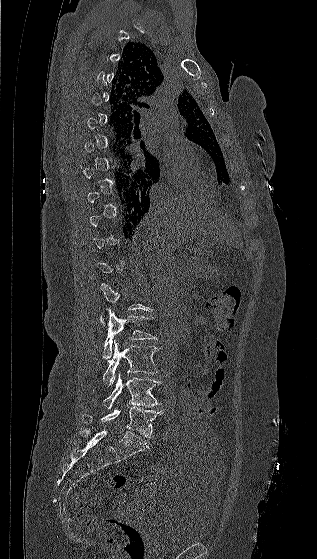 Spine computed tomography. sagittal reformat. 317x559 px
Coordinates as <box>x1,y1,x2,y2</box>. Each vertebra is boxed only on the slices from the first to the last where its cross-section reaches a third of its largest, so a slice outside that range leaves it unboxed. 4 vertebrae labeled — L2 at <box>101,309,157,358</box>; L3 at <box>103,341,159,386</box>; L4 at <box>103,373,161,409</box>; L5 at <box>83,407,163,438</box>.